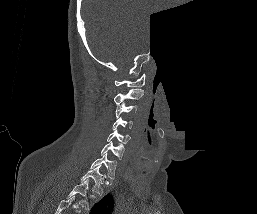
CT, spine; sagittal view; the image spans 257 mm across; a region is blanked to uniform black, ending in a straight edge
The highest labeled vertebra in this scan is C1; the lowest is T1.
<vertebrae><v name="C1" x1="114" y1="73" x2="145" y2="87"/><v name="C2" x1="113" y1="88" x2="144" y2="104"/><v name="C3" x1="115" y1="102" x2="137" y2="118"/><v name="C4" x1="112" y1="117" x2="133" y2="129"/><v name="C5" x1="107" y1="129" x2="130" y2="144"/><v name="C6" x1="101" y1="141" x2="124" y2="160"/><v name="C7" x1="90" y1="153" x2="116" y2="179"/><v name="T1" x1="80" y1="165" x2="105" y2="196"/></vertebrae>